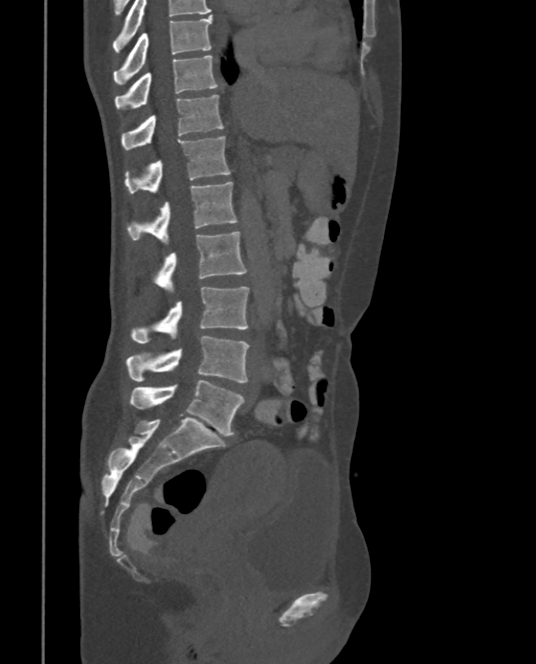 Spine CT; sagittal view; 536x664 px
Each box given as x1,y1,x2,y2.
Vertebra bounding boxes:
- T9: x1=113, y1=14, x2=211, y2=83
- T10: x1=114, y1=56, x2=219, y2=109
- T11: x1=121, y1=94, x2=223, y2=149
- T12: x1=125, y1=136, x2=230, y2=193
- L1: x1=126, y1=181, x2=238, y2=242
- L2: x1=153, y1=231, x2=247, y2=289
- L3: x1=130, y1=287, x2=249, y2=343
- L4: x1=126, y1=336, x2=249, y2=382
- L5: x1=130, y1=380, x2=245, y2=435